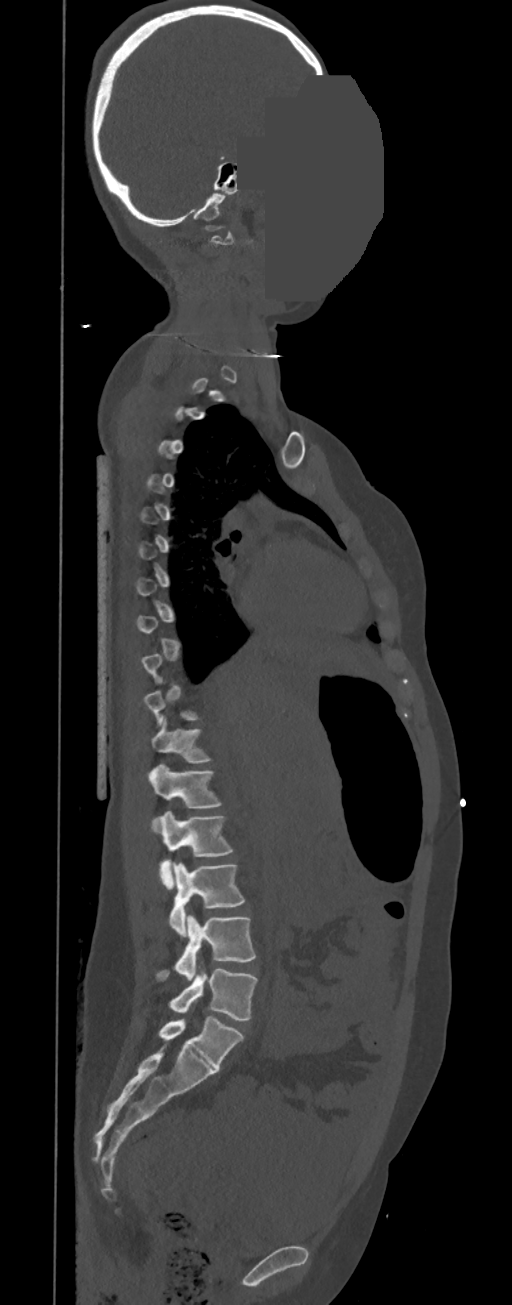
CT · sagittal view · W/L 1800/400 HU · a uniform gray block covers part of the image

Coordinates as <box>x1,y1,x2,y2</box>.
Each vertebra is boxed only on the slices from the first to the last where its cross-section reaches a third of its largest, so a slice outside that range leaves it unboxed.
In these labels the spine has no T12: the thoracic vertebrae end at T11, and L1 comes next.
T11: <box>150,718,212,763</box>
L1: <box>148,764,223,826</box>
L2: <box>159,811,233,889</box>
L3: <box>169,862,245,936</box>
L4: <box>155,915,255,980</box>
L5: <box>168,968,258,1019</box>